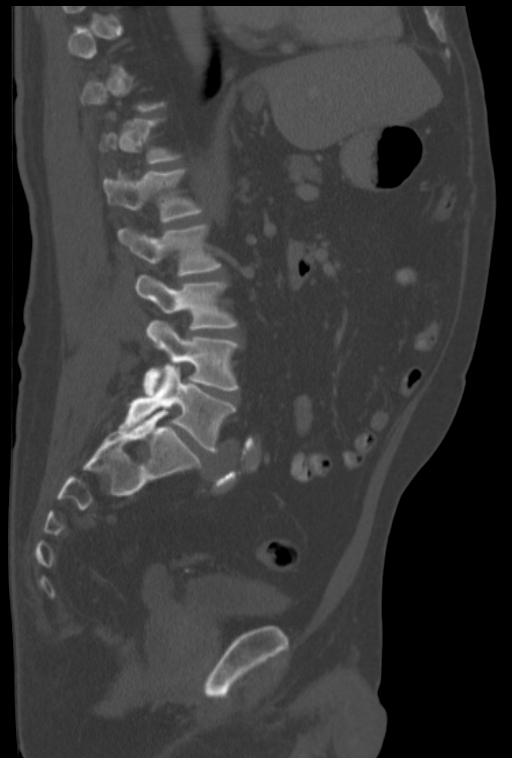

Spine computed tomography · sagittal view · 322 mm across the image
Boxes: x1 y1 x2 y2 (pixel coords, space-separated).
Not every vertebra on this slice has a box: a vertebra is boxed only from the first to the last slice where its cross-section is at least a third of its largest, and this slice is outside that range for at least one of them.
Vertebra bounding boxes:
- L5: 120 366 236 452
- L4: 143 320 239 393
- L3: 135 275 236 330
- L2: 118 224 220 276
- L1: 104 169 203 222